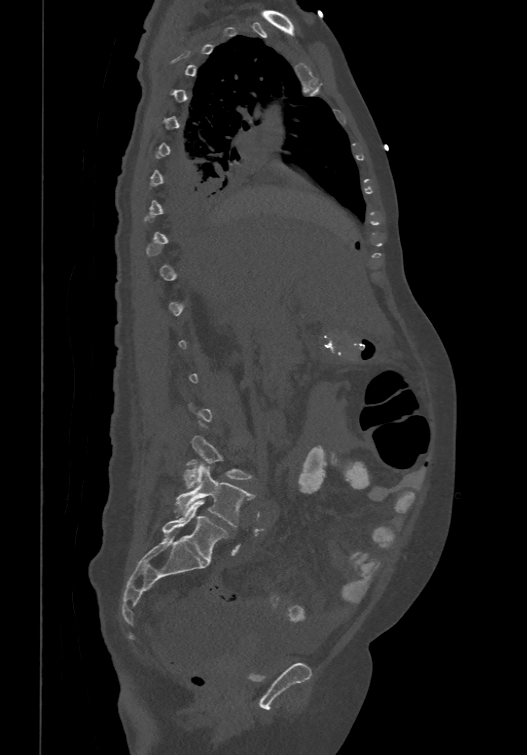

Computed tomography of the spine — 474 mm wide — sagittal view — Bone window (WL 400, WW 1800)

Each box given as x1,y1,x2,y2.
Not every vertebra on this slice has a box: a vertebra is boxed only from the first to the last slice where its cross-section is at least a third of its largest, and this slice is outside that range for at least one of them.
In these labels the spine has an L6, a sixth lumbar vertebra below L5.
Vertebra bounding boxes:
- L4: x1=183, y1=435, x2=251, y2=487
- L5: x1=175, y1=464, x2=253, y2=526
- L6: x1=161, y1=500, x2=226, y2=562